CT spine; Sagittal slice 280/512
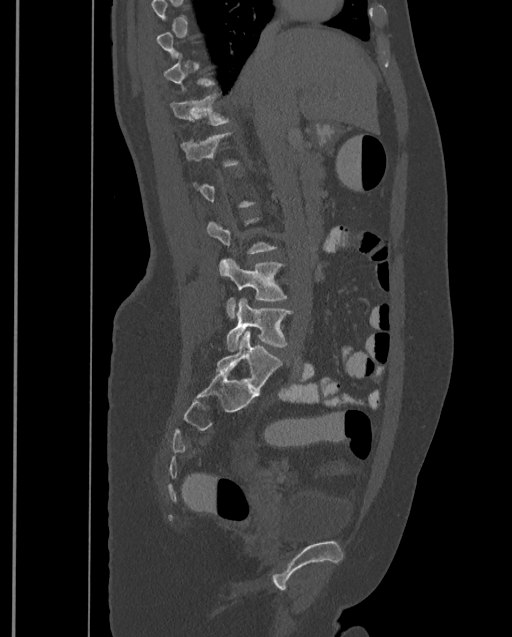 Each vertebra is boxed only on the slices from the first to the last where its cross-section reaches a third of its largest, so a slice outside that range leaves it unboxed.
This scan's labels start at T9 at the top and end at L4 at the bottom.
<vertebrae><v name="T11" x1="170" y1="94" x2="230" y2="126"/><v name="T12" x1="180" y1="132" x2="239" y2="165"/><v name="L3" x1="219" y1="258" x2="286" y2="318"/><v name="L4" x1="226" y1="298" x2="293" y2="350"/></vertebrae>